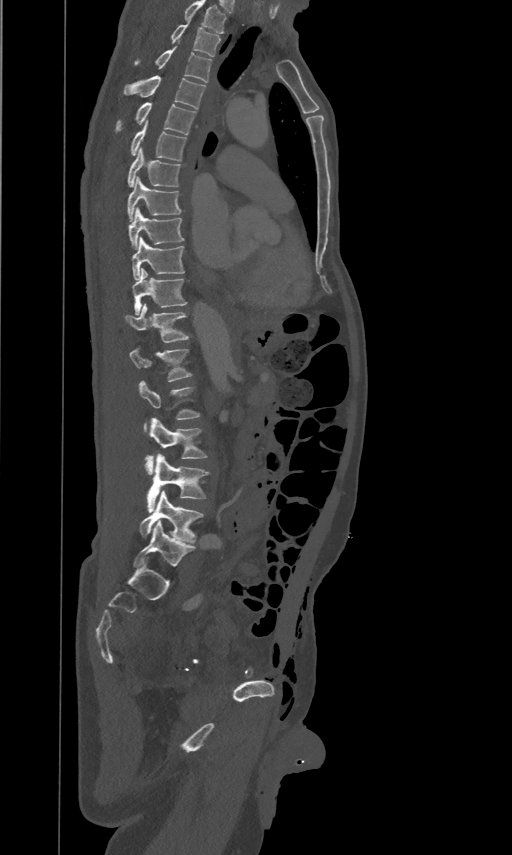 CT spine — sagittal view — Bone window (WL 400, WW 1800)

Each row gives a vertebra's box as x1, y1, x2, y2 in pixels: top-left corner, then bottom-right corner.
Labels in this scan begin with T2 at the top and end with L5 at the bottom.
| vertebra | x1 | y1 | x2 | y2 |
|---|---|---|---|---|
| T2 | 171 | 22 | 221 | 56 |
| T3 | 134 | 45 | 211 | 82 |
| T4 | 123 | 75 | 205 | 109 |
| T5 | 116 | 102 | 195 | 135 |
| T6 | 131 | 120 | 186 | 160 |
| T7 | 128 | 146 | 180 | 185 |
| T8 | 128 | 176 | 180 | 220 |
| T9 | 129 | 206 | 183 | 248 |
| T10 | 132 | 236 | 183 | 279 |
| T11 | 132 | 267 | 187 | 314 |
| T12 | 125 | 303 | 188 | 341 |
| L1 | 130 | 347 | 191 | 380 |
| L2 | 139 | 380 | 199 | 431 |
| L3 | 145 | 416 | 206 | 474 |
| L4 | 146 | 454 | 209 | 512 |
| L5 | 140 | 491 | 203 | 543 |